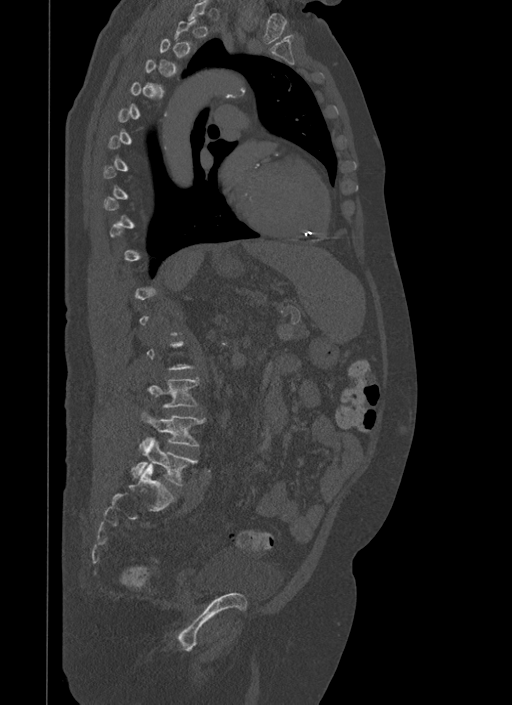 Spine CT; sagittal view; 512x705 px
A vertebra gets a box only on the slices from the first to the last where its cross-section is at least a third of its largest; on a slice outside that range it gets none.
<vertebrae><v name="L3" x1="147" y1="377" x2="199" y2="407"/><v name="L4" x1="142" y1="413" x2="205" y2="445"/><v name="L5" x1="134" y1="438" x2="198" y2="485"/></vertebrae>